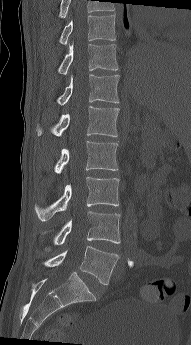
CT spine — sagittal view — Bone window (WL 400, WW 1800). Boxes: x1:y1:x2:y2 in pixels.
In this scan, the topmost labeled vertebra is T10 and the lowest is L5.
Vertebra bounding boxes:
- T10: 59:15:115:45
- T11: 58:42:118:74
- T12: 56:74:119:105
- L1: 36:106:119:136
- L2: 54:141:118:173
- L3: 35:177:119:221
- L4: 41:211:120:251
- L5: 43:246:119:284